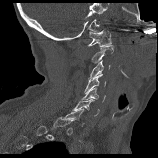

CT spine · sagittal view · 158x158 px
Boxes are given in columns x1, y1, x2, y2, the pixel coordinates of their top-left and bottom-right corners.
Not every vertebra on this slice has a box: a vertebra is boxed only from the first to the last slice where its cross-section is at least a third of its largest, and this slice is outside that range for at least one of them.
| vertebra | x1 | y1 | x2 | y2 |
|---|---|---|---|---|
| C7 | 63 | 108 | 84 | 126 |
| C6 | 73 | 99 | 99 | 116 |
| C5 | 81 | 87 | 105 | 102 |
| C4 | 84 | 74 | 105 | 93 |
| C3 | 88 | 60 | 110 | 79 |
| C2 | 91 | 45 | 113 | 63 |
| C1 | 87 | 30 | 111 | 46 |